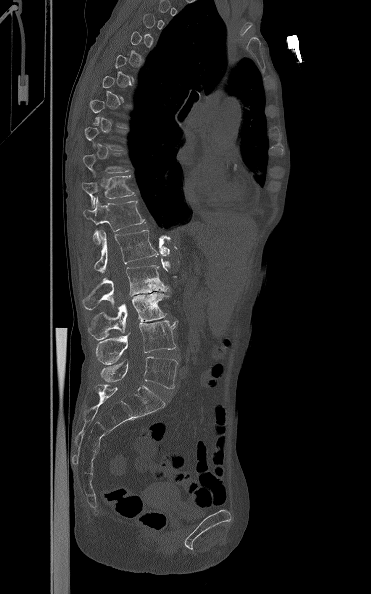
CT — the image is 371 mm wide — sagittal view — Bone window (WL 400, WW 1800)

Each box given as x1,y1,x2,y2.
A vertebra gets a box only on the slices from the first to the last where its cross-section is at least a third of its largest; on a slice outside that range it gets none.
Vertebra bounding boxes:
- T11: x1=81, y1=175, x2=134, y2=206
- T12: x1=83, y1=197, x2=146, y2=244
- L1: x1=94, y1=228, x2=158, y2=272
- L2: x1=82, y1=265, x2=169, y2=309
- L3: x1=88, y1=292, x2=169, y2=339
- L4: x1=96, y1=320, x2=178, y2=364
- L5: x1=101, y1=356, x2=178, y2=388